CT — sagittal plane, index 322 — image width 287 mm — Bone window (WL 400, WW 1800) — 512x963 px — 11 vertebrae labeled in this scan
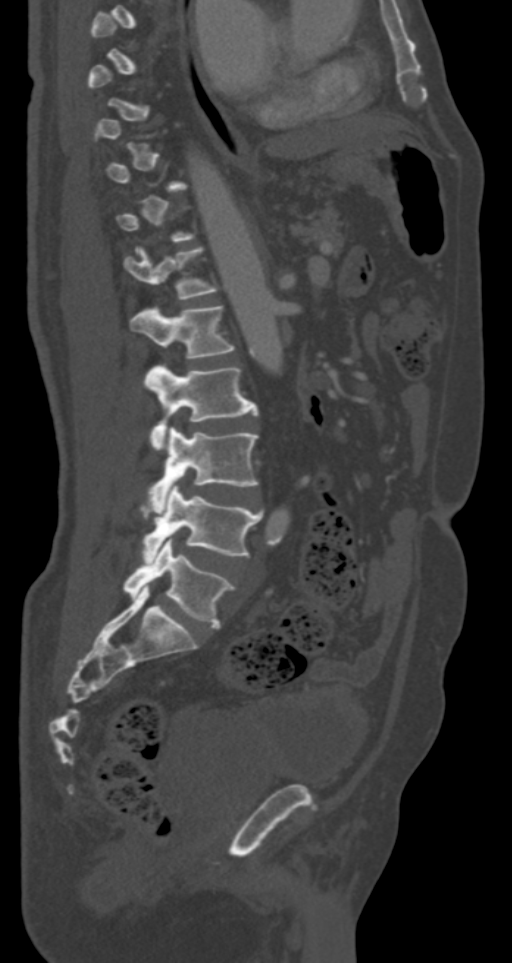

Each box given as x1,y1,x2,y2.
Not every vertebra on this slice has a box: a vertebra is boxed only from the first to the last slice where its cross-section is at least a third of its largest, and this slice is outside that range for at least one of them.
| vertebra | x1 | y1 | x2 | y2 |
|---|---|---|---|---|
| T12 | 124 | 247 | 218 | 299 |
| L1 | 130 | 306 | 234 | 359 |
| L2 | 144 | 366 | 257 | 450 |
| L3 | 148 | 428 | 259 | 507 |
| L4 | 142 | 485 | 263 | 561 |
| L5 | 123 | 537 | 234 | 628 |